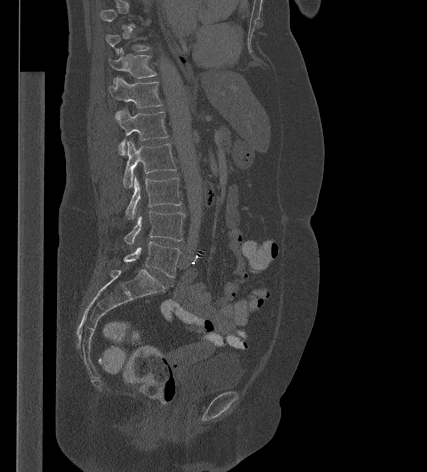
CT. sagittal view. Boxes are (x1, y1, x2, y2) in pixels. Not every vertebra on this slice has a box: a vertebra is boxed only from the first to the last slice where its cross-section is at least a third of its largest, and this slice is outside that range for at least one of them. Vertebrae labeled: T11 at (109, 48, 156, 84), T12 at (109, 77, 162, 119), L1 at (116, 109, 168, 155), L2 at (123, 140, 176, 188), L3 at (125, 177, 181, 219), L4 at (124, 211, 184, 244), L5 at (123, 241, 180, 277).